Computed tomography of the spine; Sagittal slice 274/512; bone window; 500 mm across the image; 8 vertebrae labeled in this scan
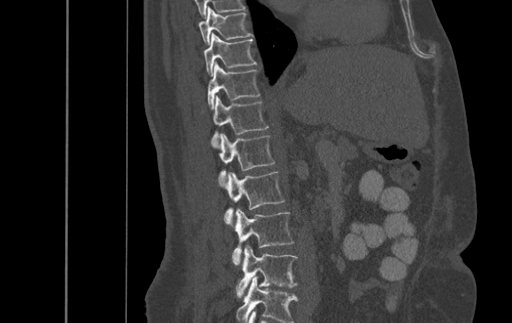
Each box given as x1,y1,x2,y2. The highest labeled vertebra in this scan is T9; the lowest is L4. Vertebrae labeled: T9 at x1=198, y1=7, x2=253, y2=44, T10 at x1=203, y1=33, x2=256, y2=75, T11 at x1=208, y1=61, x2=259, y2=108, T12 at x1=202, y1=95, x2=268, y2=146, L1 at x1=218, y1=133, x2=274, y2=185, L2 at x1=222, y1=171, x2=284, y2=224, L3 at x1=233, y1=208, x2=293, y2=264, L4 at x1=236, y1=245, x2=297, y2=297.